Spine computed tomography · Sagittal slice 313/512 · image 157 mm wide · 512x929 px
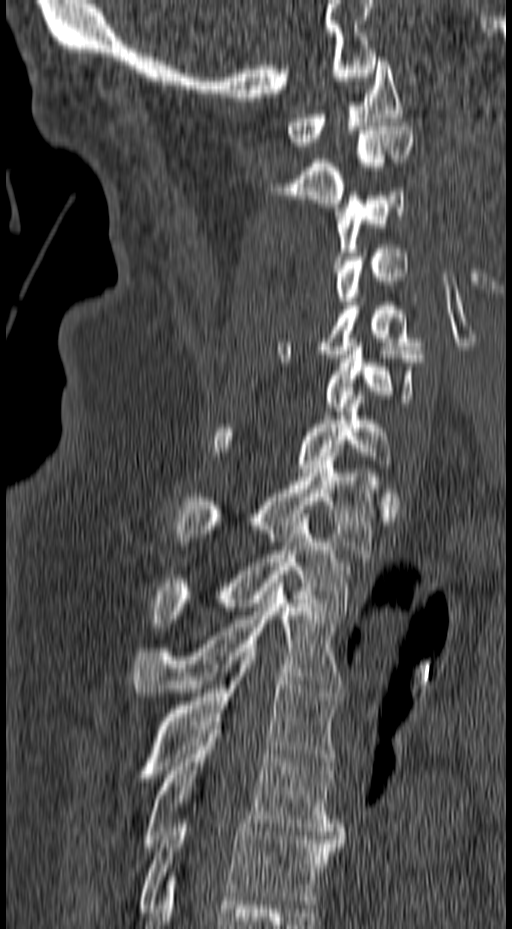 Coordinates as <box>x1,y1,x2,y2</box>. Vertebrae labeled: C1 at <box>287,57,401,146</box>, C2 at <box>275,122,414,207</box>, C3 at <box>334,188,404,260</box>, C4 at <box>335,245,408,305</box>, C5 at <box>277,298,426,358</box>, C6 at <box>324,346,424,415</box>, C7 at <box>210,391,392,472</box>, T1 at <box>174,461,376,553</box>, T2 at <box>151,514,349,627</box>, T3 at <box>132,579,343,696</box>, T4 at <box>136,648,339,778</box>, T5 at <box>143,726,343,851</box>, T6 at <box>139,819,343,912</box>.